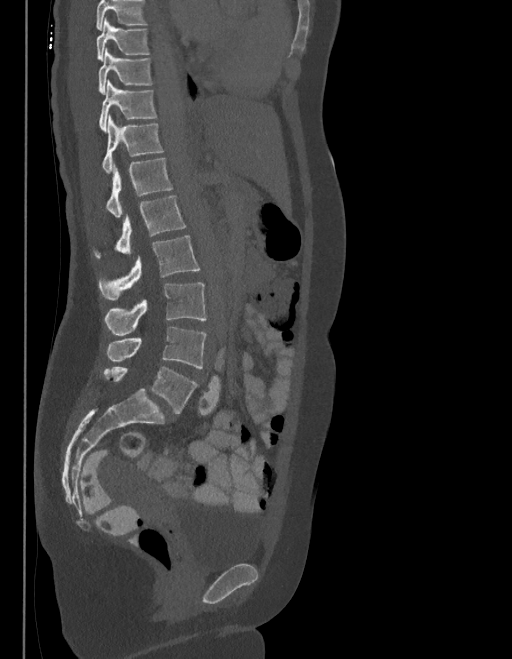 Spine CT. sagittal view. image 403 mm wide. W/L 1800/400 HU
Box edges are left/top/right/bottom in pixels.
No box is given to a vertebra that the top edge of the scan cuts off.
In these labels the spine has an L6, a sixth lumbar vertebra below L5.
Vertebra bounding boxes:
- T9: left=96, top=18, right=149, bottom=61
- T10: left=99, top=49, right=151, bottom=94
- T11: left=99, top=81, right=156, bottom=130
- T12: left=103, top=115, right=163, bottom=174
- L1: left=107, top=158, right=172, bottom=217
- L2: left=95, top=196, right=186, bottom=257
- L3: left=99, top=236, right=200, bottom=300
- L4: left=105, top=282, right=206, bottom=335
- L5: left=107, top=327, right=206, bottom=368
- L6: left=104, top=367, right=197, bottom=414